Spine computed tomography; sagittal view; Bone window (WL 400, WW 1800); 10 vertebrae labeled in this scan
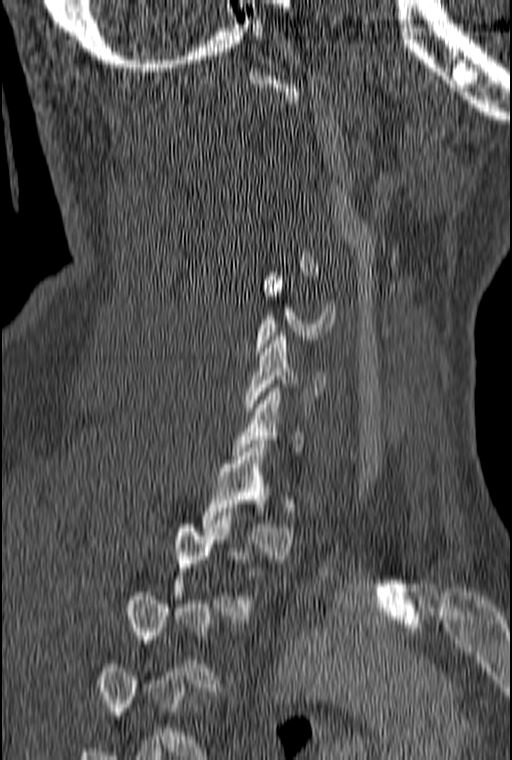

Bounding boxes as [x1, y1, x2, y2] in pixel coordinates.
Each vertebra is boxed only on the slices from the first to the last where its cross-section reaches a third of its largest, so a slice outside that range leaves it unboxed.
Vertebra bounding boxes:
- C5: [255, 276, 335, 355]
- C6: [245, 332, 327, 411]
- T1: [200, 444, 294, 559]
- T2: [173, 520, 263, 623]